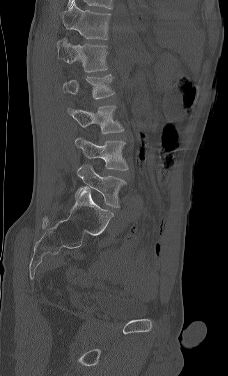
CT spine. sagittal reformat
The highest labeled vertebra in this scan is L1; the lowest is L5.
<vertebrae><v name="L1" x1="56" y1="38" x2="107" y2="72"/><v name="L2" x1="62" y1="74" x2="114" y2="99"/><v name="L3" x1="67" y1="105" x2="124" y2="134"/><v name="L4" x1="75" y1="137" x2="128" y2="170"/><v name="L5" x1="74" y1="164" x2="126" y2="207"/></vertebrae>